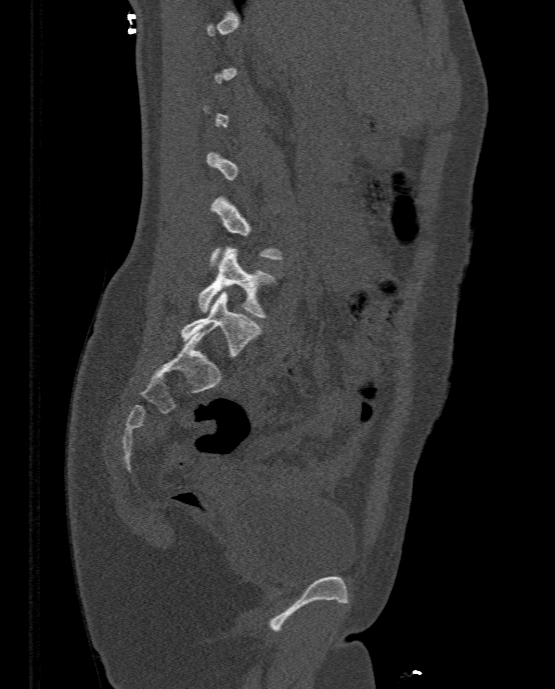 Spine computed tomography · sagittal view · Bone window (WL 400, WW 1800)

Each box given as x1,y1,x2,y2.
Not every vertebra on this slice has a box: a vertebra is boxed only from the first to the last slice where its cross-section is at least a third of its largest, and this slice is outside that range for at least one of them.
Vertebra bounding boxes:
- L5: x1=181, y1=291, x2=262, y2=357
- L4: x1=198, y1=246, x2=275, y2=317